Computed tomography of the spine · Sagittal slice 254/512 · bone window · 446 mm across the image
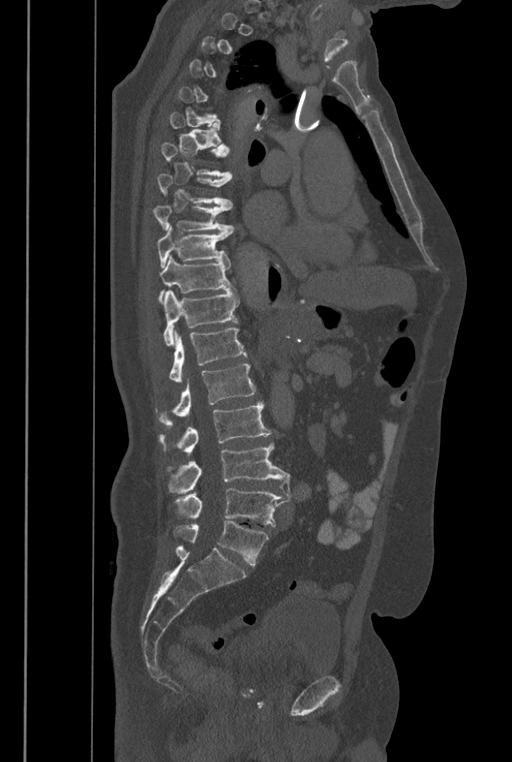

Each box given as x1,y1,x2,y2.
A vertebra gets a box only on the slices from the first to the last where its cross-section is at least a third of its largest; on a slice outside that range it gets none.
The labels name a sixth lumbar vertebra for this spine: L6, after L5.
| vertebra | x1 | y1 | x2 | y2 |
|---|---|---|---|---|
| L6 | 173 | 521 | 269 | 565 |
| L5 | 173 | 488 | 291 | 526 |
| L4 | 168 | 443 | 290 | 496 |
| L3 | 158 | 401 | 271 | 456 |
| L2 | 155 | 363 | 255 | 427 |
| L1 | 169 | 328 | 247 | 381 |
| T12 | 163 | 289 | 239 | 346 |
| T11 | 158 | 255 | 234 | 304 |
| T10 | 157 | 226 | 231 | 268 |
| T9 | 153 | 206 | 234 | 234 |
| T8 | 157 | 174 | 233 | 210 |